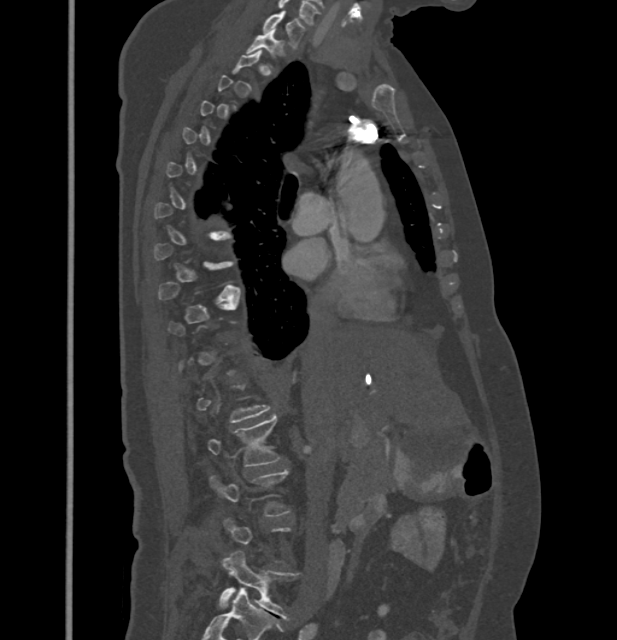

CT, spine · sagittal view · the image is 432 mm wide
Each vertebra is boxed only on the slices from the first to the last where its cross-section reaches a third of its largest, so a slice outside that range leaves it unboxed.
<vertebrae><v name="C7" x1="263" y1="10" x2="305" y2="49"/><v name="T1" x1="247" y1="29" x2="285" y2="59"/><v name="L2" x1="207" y1="415" x2="282" y2="466"/><v name="L3" x1="210" y1="469" x2="291" y2="516"/><v name="L5" x1="218" y1="550" x2="299" y2="619"/></vertebrae>